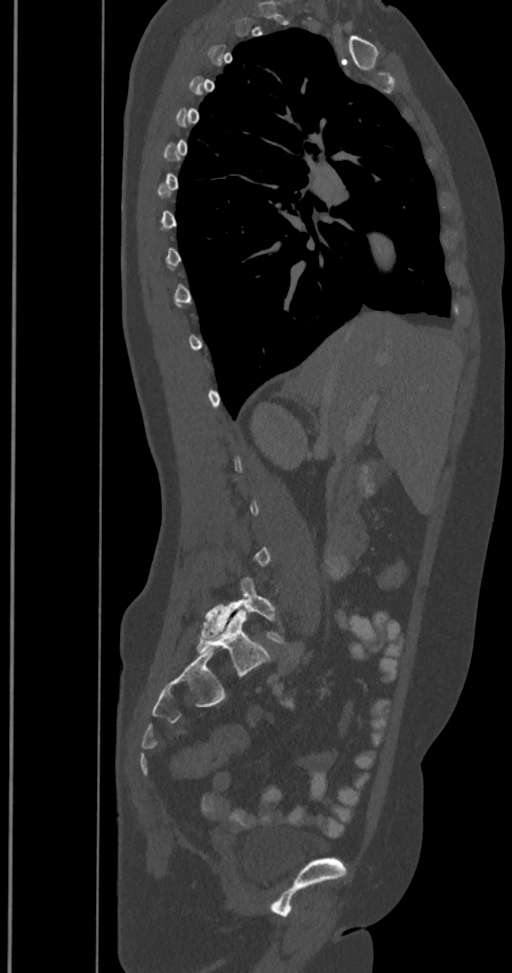 Computed tomography of the spine · sagittal reformat

Boxes: x1:y1:x2:y2 in pixels.
A vertebra gets a box only on the slices from the first to the last where its cross-section is at least a third of its largest; on a slice outside that range it gets none.
The labels name a sixth lumbar vertebra for this spine: L6, after L5.
L5: 201:578:287:644
L6: 197:607:269:676